CT · Sagittal slice 292/512 · bone-window reconstruction
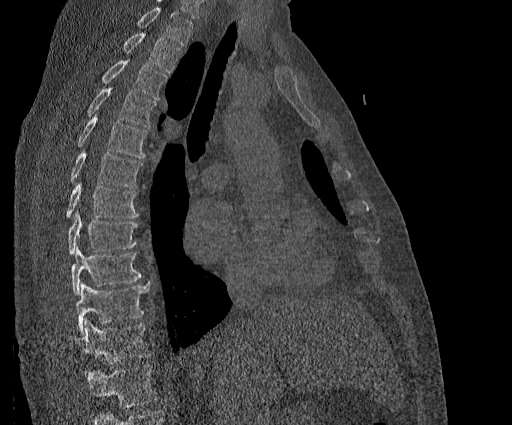

Boxes below are [x1, y1, x2, y2] in pixels.
No box is given to a vertebra that the top edge of the scan cuts off.
In this scan, the topmost labeled vertebra is T2 and the lowest is T11.
{"vertebrae":{"T2":[122,33,180,72],"T3":[101,59,167,99],"T4":[88,88,156,127],"T5":[77,115,147,158],"T6":[69,151,141,187],"T7":[65,183,139,218],"T8":[68,213,137,254],"T9":[70,245,141,294],"T10":[76,283,149,332],"T11":[69,320,149,372]}}